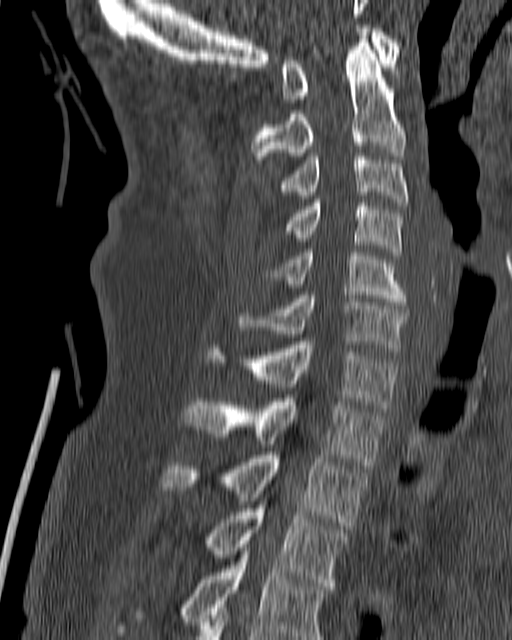

CT spine; sagittal reformat; Bone window (WL 400, WW 1800); 180 mm across the image
<vertebrae><v name="C1" x1="280" y1="25" x2="399" y2="102"/><v name="C2" x1="251" y1="36" x2="407" y2="163"/><v name="C3" x1="277" y1="153" x2="408" y2="205"/><v name="C4" x1="285" y1="199" x2="401" y2="255"/><v name="C5" x1="271" y1="249" x2="407" y2="305"/><v name="C6" x1="237" y1="292" x2="407" y2="351"/><v name="C7" x1="206" y1="341" x2="398" y2="411"/><v name="T1" x1="183" y1="395" x2="384" y2="465"/><v name="T2" x1="160" y1="452" x2="367" y2="529"/><v name="T3" x1="203" y1="508" x2="350" y2="589"/><v name="T4" x1="116" y1="544" x2="330" y2="639"/></vertebrae>